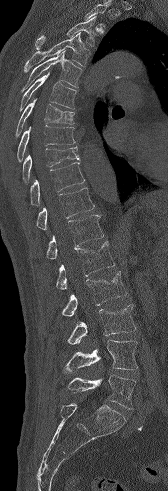
CT, spine — sagittal view. Each box given as x1,y1,x2,y2.
A vertebra cut off by the top edge of the scan is not labeled and has no box.
T3: x1=35, y1=16, x2=96, y2=48
T4: x1=24, y1=32, x2=91, y2=72
T5: x1=21, y1=50, x2=82, y2=92
T6: x1=19, y1=73, x2=77, y2=111
T7: x1=15, y1=98, x2=74, y2=137
T8: x1=17, y1=125, x2=75, y2=161
T9: x1=22, y1=146, x2=80, y2=184
T10: x1=30, y1=162, x2=85, y2=206
T11: x1=36, y1=187, x2=94, y2=229
T12: x1=46, y1=215, x2=104, y2=259
L1: x1=56, y1=241, x2=115, y2=289
L2: x1=61, y1=271, x2=127, y2=316
L3: x1=67, y1=304, x2=136, y2=344
L4: x1=63, y1=340, x2=137, y2=373
L5: x1=67, y1=375, x2=135, y2=409